CT; sagittal view; bone-window reconstruction; 812x1497 px; a uniform gray block covers part of the image
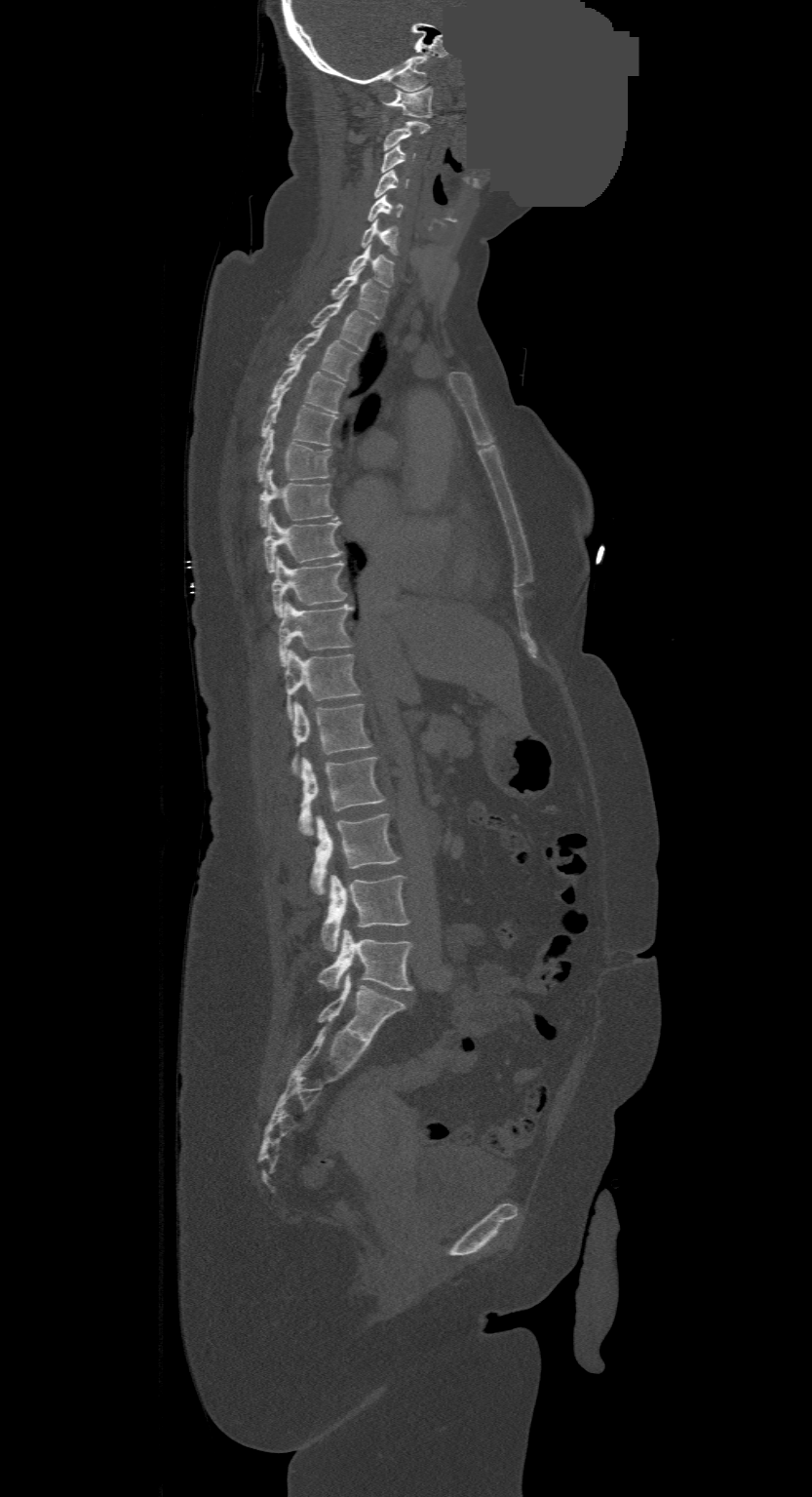 Box values are [left, top, right, bottom] in pixels.
This scan's labels start at C1 at the top and end at L4 at the bottom.
{"vertebrae":{"C1":[381,87,432,116],"C2":[384,121,429,150],"C3":[382,145,414,172],"C4":[374,170,408,198],"C5":[367,195,404,220],"C6":[360,219,399,255],"C7":[347,246,394,287],"T1":[330,273,389,318],"T2":[311,299,375,350],"T3":[288,329,359,381],"T4":[270,356,345,413],"T5":[260,390,337,445],"T6":[257,431,332,482],"T7":[258,470,333,528],"T8":[263,514,342,573],"T9":[271,558,348,617],"T10":[278,604,353,666],"T11":[284,652,361,720],"T12":[290,702,370,774],"L1":[298,755,386,835],"L2":[311,813,399,895],"L3":[321,875,408,950],"L4":[319,930,413,989]}}